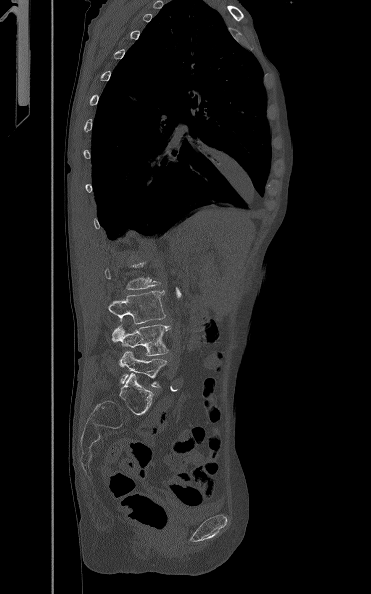

CT spine; sagittal view; the image is 371 mm wide
Boxes: x1 y1 x2 y2 (pixel coords, space-separated). A vertebra gets a box only on the slices from the first to the last where its cross-section is at least a third of its largest; on a slice outside that range it gets none. Vertebrae labeled: L3 at 108 291 166 324, L4 at 112 324 171 355, L5 at 119 350 167 387.